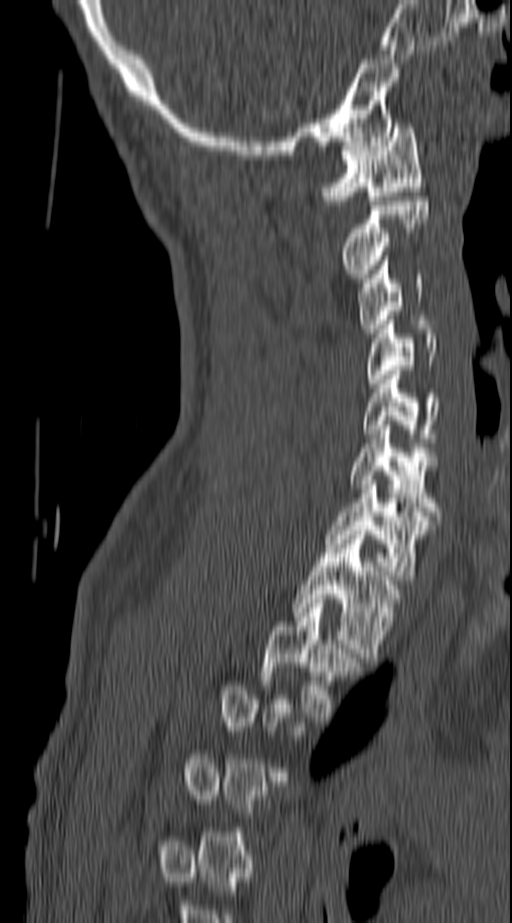

Spine computed tomography; sagittal view; bone-window reconstruction; 512x923 px
Each vertebra maps to its box as [x1, y1, x2, y2], the pixel coordinates of its top-left and bottom-right corners.
A vertebra gets a box only on the slices from the first to the last where its cross-section is at least a third of its largest; on a slice outside that range it gets none.
{"vertebrae":{"C1":[323,123,425,200],"C2":[341,201,428,278],"C3":[357,256,421,333],"C4":[367,320,436,388],"C5":[363,370,439,442],"C6":[349,425,439,516],"C7":[327,480,432,580],"T1":[294,530,399,657],"T2":[260,599,362,721]}}